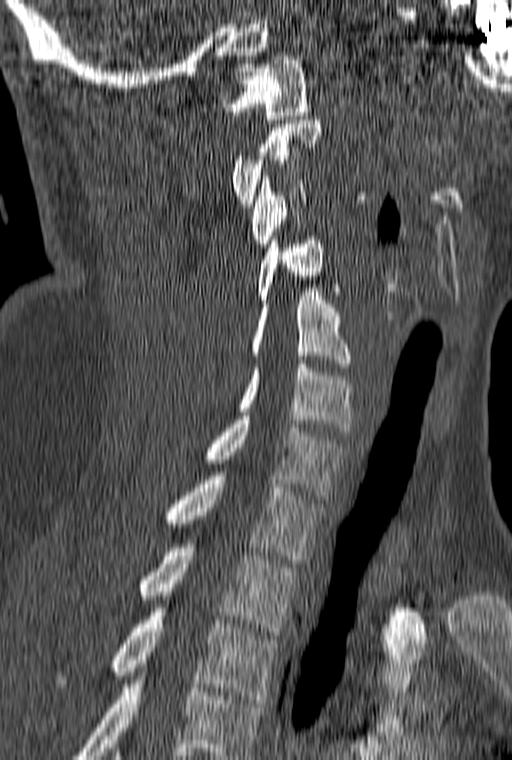
Spine CT. sagittal view. 512x760 px

In this scan, the topmost labeled vertebra is C1 and the lowest is T3.
<vertebrae><v name="C1" x1="220" y1="56" x2="309" y2="119"/><v name="C2" x1="231" y1="120" x2="323" y2="207"/><v name="C3" x1="251" y1="172" x2="306" y2="247"/><v name="C4" x1="254" y1="240" x2="339" y2="303"/><v name="C5" x1="251" y1="288" x2="352" y2="367"/><v name="C6" x1="235" y1="364" x2="352" y2="431"/><v name="C7" x1="203" y1="416" x2="349" y2="499"/><v name="T1" x1="164" y1="472" x2="325" y2="563"/><v name="T2" x1="136" y1="544" x2="298" y2="635"/><v name="T3" x1="54" y1="608" x2="279" y2="703"/></vertebrae>